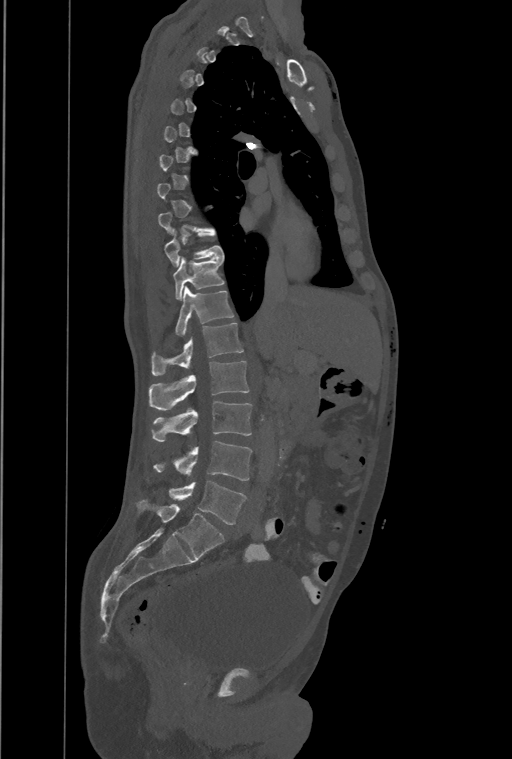

CT — 461 mm image width — sagittal view — 512x759 px
Boxes: x1 y1 x2 y2 (pixel coords, space-separated). A vertebra gets a box only on the slices from the first to the last where its cross-section is at least a third of its largest; on a slice outside that range it gets none. The highest labeled vertebra in this scan is T1; the lowest is L4. In these labels the spine has a T13, a thirteenth thoracic vertebra, between T12 and L1. 8 vertebrae labeled — T10 at 164 229 224 267; T11 at 174 257 224 299; T12 at 175 287 234 336; T13 at 152 322 243 375; L1 at 148 361 248 410; L2 at 153 401 252 441; L3 at 154 441 252 480; L4 at 170 481 246 524.